CT; 168 mm image width; sagittal plane, index 80; bone-window reconstruction
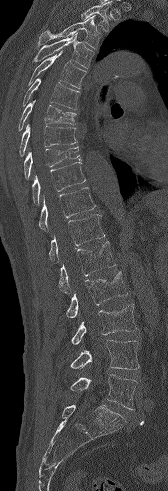

Box values are [left, top, right, bottom] in pixels.
A vertebra cut off by the top edge of the scan is not labeled and has no box.
{"vertebrae":{"T3":[38,15,102,49],"T4":[33,32,94,69],"T5":[28,51,86,89],"T6":[23,78,80,110],"T7":[18,100,76,130],"T8":[19,124,77,156],"T9":[24,147,80,179],"T10":[32,162,85,205],"T11":[39,187,95,231],"T12":[48,214,105,262],"L1":[58,241,115,293],"L2":[66,271,128,318],"L3":[71,303,137,344],"L4":[70,340,139,370],"L5":[70,374,137,409]}}